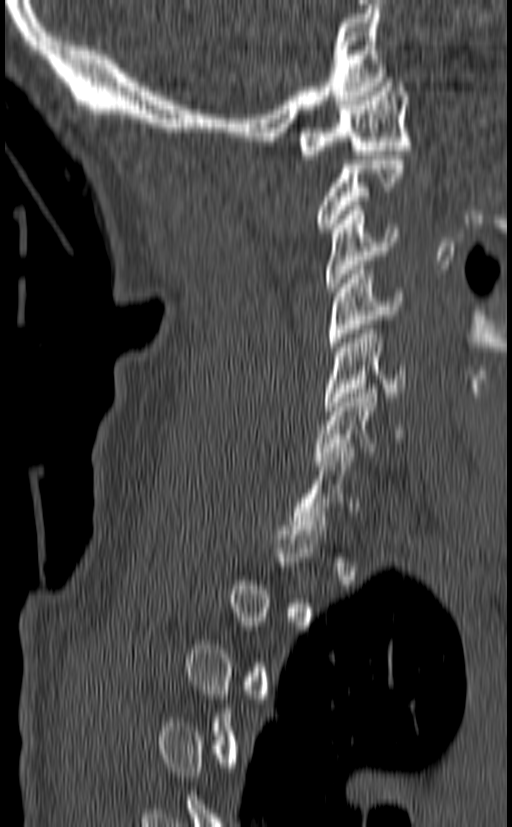
Spine CT. sagittal view. 512x827 px. Boxes: x1:y1:x2:y2 in pixels.
A vertebra is boxed only from the first to the last slice where its cross-section is at least a third of its largest; slices outside that range leave it without a box.
C1: 298:78:411:159
C3: 325:206:399:292
C4: 327:265:403:351
C5: 322:325:406:410
C6: 313:384:401:465
C7: 289:448:359:534